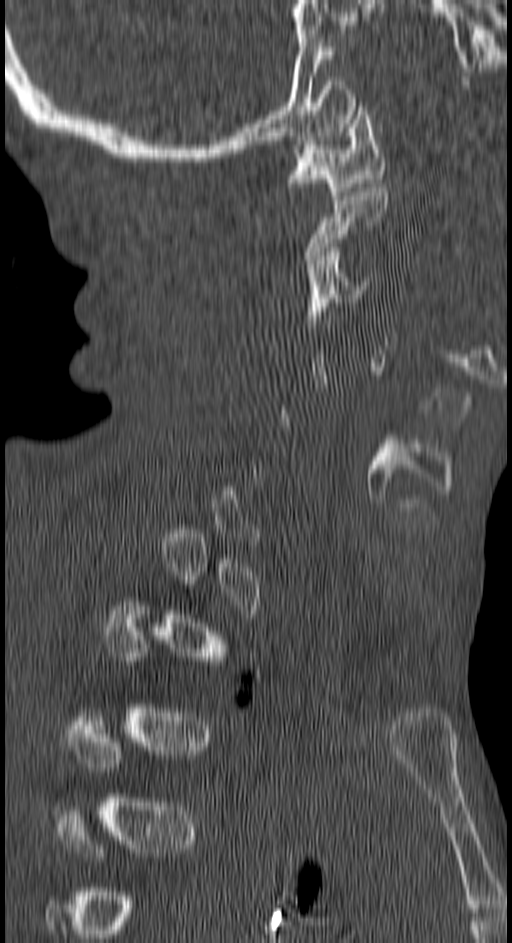

CT, spine; sagittal reformat; bone-window reconstruction; 150 mm image width; 512x943 px
In the table, x1 and y1 are a box's top-left corner and x2 and y2 its bottom-right corner, in pixels.
Each vertebra is boxed only on the slices from the first to the last where its cross-section reaches a third of its largest, so a slice outside that range leaves it unboxed.
| vertebra | x1 | y1 | x2 | y2 |
|---|---|---|---|---|
| C1 | 288 | 102 | 383 | 200 |
| C2 | 305 | 183 | 386 | 268 |
| C3 | 305 | 247 | 372 | 328 |